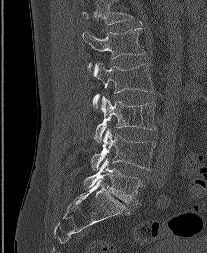

CT, spine. sagittal view. W/L 1800/400 HU. 207x253 px
In this scan, the topmost labeled vertebra is L1 and the lowest is L5.
<vertebrae><v name="L5" x1="84" y1="158" x2="141" y2="204"/><v name="L4" x1="91" y1="129" x2="155" y2="170"/><v name="L3" x1="94" y1="96" x2="156" y2="142"/><v name="L2" x1="91" y1="63" x2="153" y2="108"/><v name="L1" x1="82" y1="28" x2="144" y2="70"/></vertebrae>